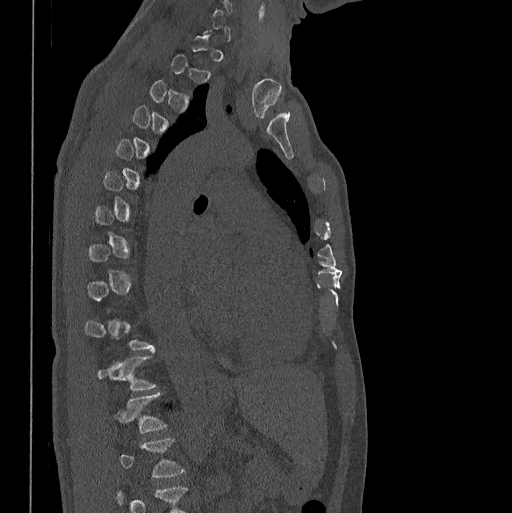
CT spine. sagittal view. bone-window reconstruction
A vertebra gets a box only on the slices from the first to the last where its cross-section is at least a third of its largest; on a slice outside that range it gets none.
This scan's labels start at C7 at the top and end at L1 at the bottom.
<vertebrae><v name="L1" x1="121" y1="436" x2="184" y2="477"/><v name="T12" x1="122" y1="392" x2="167" y2="432"/><v name="T11" x1="96" y1="355" x2="156" y2="389"/></vertebrae>